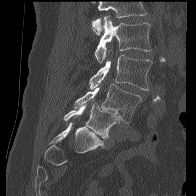
Spine computed tomography · sagittal reformat · bone-window reconstruction
Where the top of the scan cuts through a vertebra, that vertebra gets no label or box.
<vertebrae><v name="L2" x1="94" y1="16" x2="151" y2="63"/><v name="L3" x1="90" y1="55" x2="152" y2="90"/><v name="L4" x1="73" y1="84" x2="142" y2="123"/><v name="L5" x1="64" y1="102" x2="120" y2="138"/></vertebrae>